Spine computed tomography. sagittal plane, index 250. bone-window reconstruction. 8 vertebrae labeled in this scan
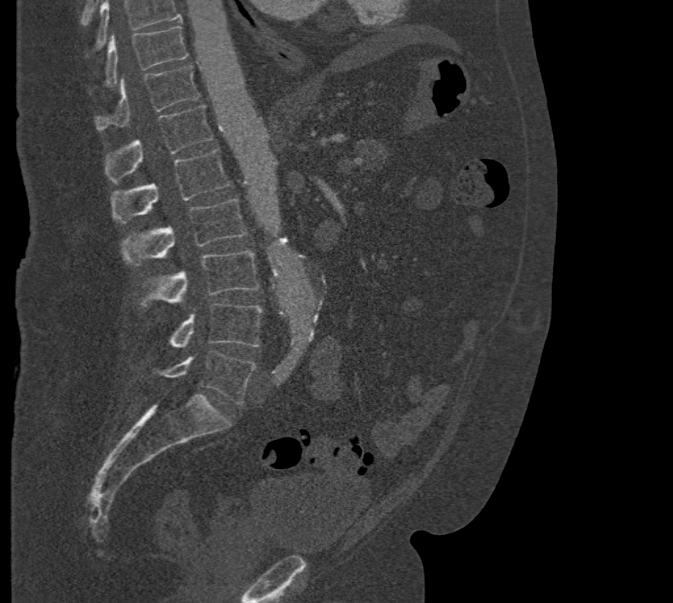
Bounding boxes as [x1, y1, x2, y2] in pixel coordinates.
No box is given to a vertebra that the top edge of the scan cuts off.
Vertebra bounding boxes:
- T10: [104, 26, 187, 87]
- T11: [96, 65, 199, 131]
- T12: [104, 105, 213, 184]
- L1: [110, 149, 230, 224]
- L2: [121, 198, 246, 265]
- L3: [139, 250, 259, 307]
- L4: [168, 303, 262, 347]
- L5: [159, 350, 257, 404]